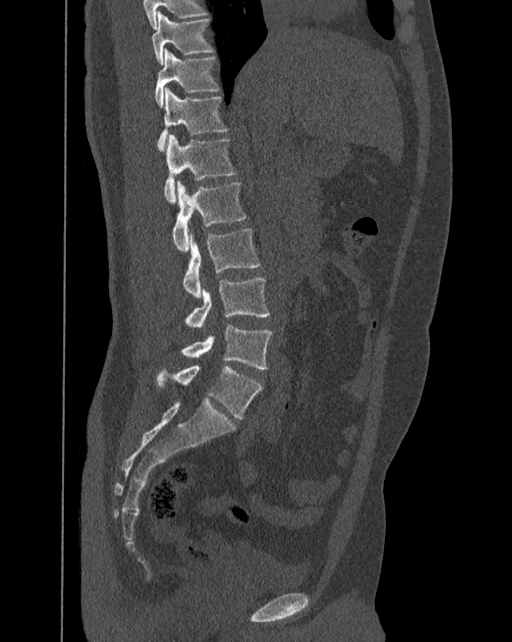

CT; image width 392 mm; sagittal view; bone-window reconstruction; 512x642 px

Boxes: x1 y1 x2 y2 (pixel coords, space-separated).
These labels give the spine a sixth lumbar vertebra, L6, below L5.
Vertebra bounding boxes:
- T10: 151 11 213 64
- T11: 155 48 220 107
- T12: 158 87 227 149
- L1: 164 135 235 204
- L2: 172 181 246 252
- L3: 183 229 260 298
- L4: 185 277 269 328
- L5: 181 324 272 369
- L6: 158 364 263 419